Computed tomography of the spine. sagittal plane, index 271. 500 mm wide. a region of this slice is masked with a uniform fill
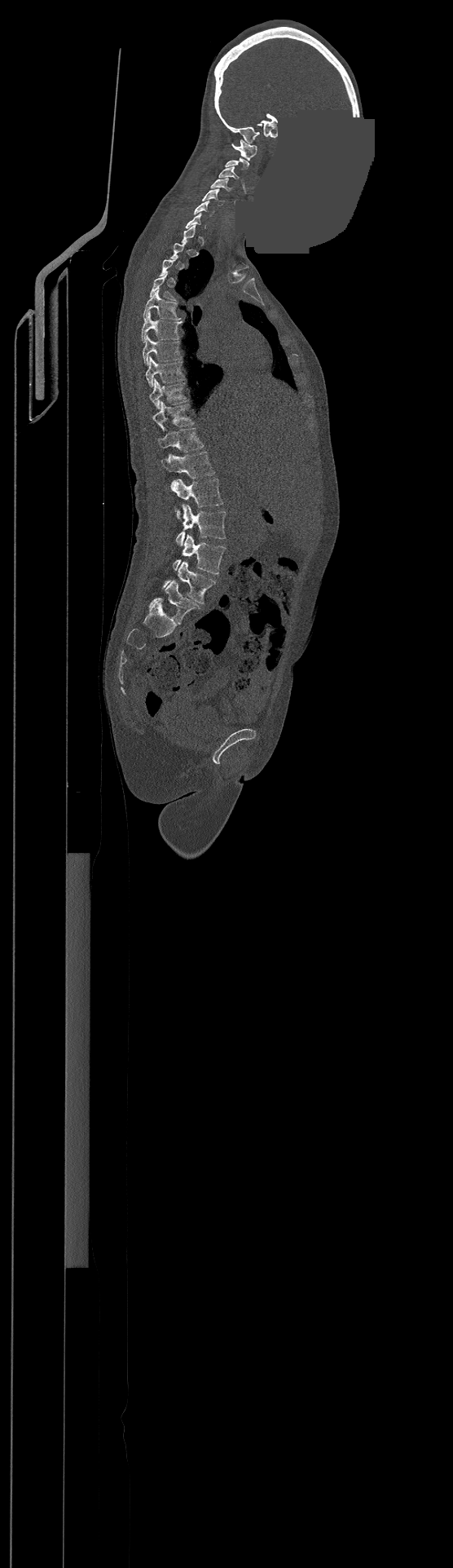
Each vertebra maps to its box as [x1, y1, x2, y2], the pixel coordinates of its top-left and bottom-right corners.
Not every vertebra on this slice has a box: a vertebra is boxed only from the first to the last slice where its cross-section is at least a third of its largest, and this slice is outside that range for at least one of them.
In this scan, the topmost labeled vertebra is C1 and the lowest is L4.
{"vertebrae":{"L4":[163,560,215,603],"L3":[174,534,225,573],"L2":[174,505,226,545],"L1":[169,479,223,517],"T12":[161,452,215,478],"T11":[157,428,203,452],"T10":[152,402,193,427],"T9":[149,379,187,409],"T8":[145,356,184,386],"T7":[143,336,180,364],"T6":[142,313,182,342],"T5":[143,289,180,320],"C6":[194,201,213,215],"C5":[201,189,223,205],"C4":[211,179,231,191],"C3":[219,166,239,179],"C1":[231,139,257,160]}}